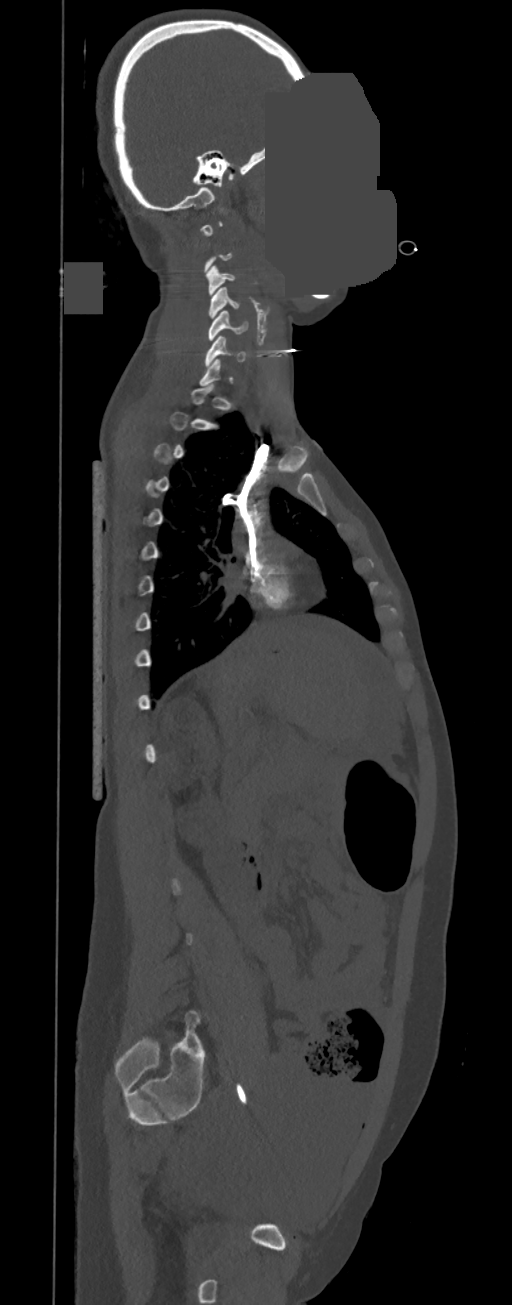
CT — sagittal view — a uniform gray block covers part of the image
Box edges are left/top/right/bottom in pixels.
Not every vertebra on this slice has a box: a vertebra is boxed only from the first to the last slice where its cross-section is at least a third of its largest, and this slice is outside that range for at least one of them.
| vertebra | x1 | y1 | x2 | y2 |
|---|---|---|---|---|
| C3 | 205 | 265 | 234 | 295 |
| C4 | 209 | 287 | 239 | 319 |
| C5 | 208 | 311 | 248 | 340 |
| C6 | 205 | 336 | 246 | 366 |